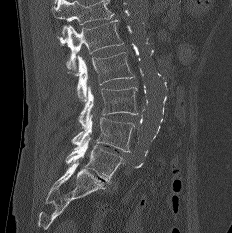

CT — sagittal reformat — the image is 232 mm wide
In the table, x1 and y1 are a box's top-left corner and x2 and y2 its bottom-right corner, in pixels.
A vertebra cut off by the top edge of the scan is not labeled and has no box.
| vertebra | x1 | y1 | x2 | y2 |
|---|---|---|---|---|
| L5 | 66 | 137 | 124 | 184 |
| L4 | 71 | 114 | 134 | 152 |
| L3 | 78 | 86 | 138 | 129 |
| L2 | 67 | 52 | 134 | 101 |
| L1 | 59 | 19 | 123 | 75 |